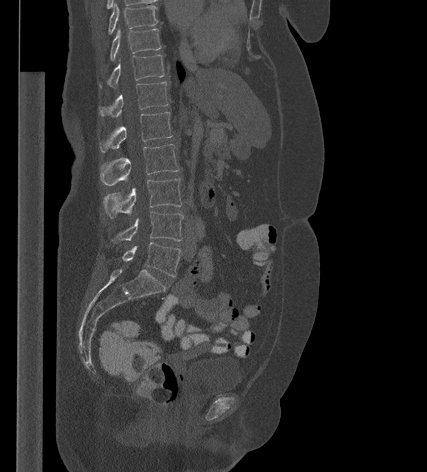

CT — sagittal view — 427 mm wide
Each box given as x1,y1,x2,y2. Vertebrae labeled: L5 at x1=122, y1=242, x2=181, y2=276, L4 at x1=112, y1=211, x2=183, y2=241, L3 at x1=103, y1=178, x2=182, y2=217, L2 at x1=100, y1=144, x2=179, y2=185, L1 at x1=99, y1=112, x2=172, y2=152, T12 at x1=99, y1=82, x2=168, y2=117, T11 at x1=99, y1=54, x2=164, y2=87, T10 at x1=109, y1=29, x2=161, y2=60, T9 at x1=108, y1=4, x2=157, y2=34.